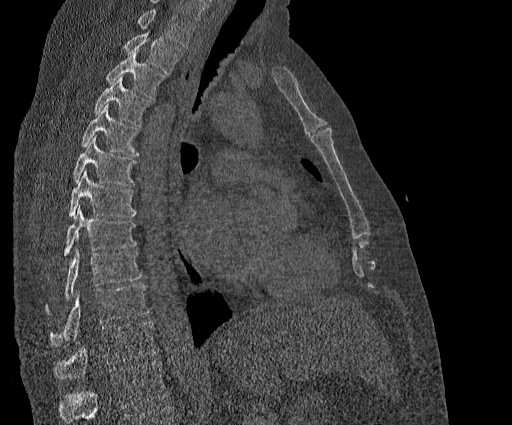
Spine computed tomography · sagittal reformat
Boxes are (x1, y1, x2, y2) in pixels.
Where the top of the scan cuts through a vertebra, that vertebra gets no label or box.
This scan's labels start at T2 at the top and end at T11 at the bottom.
Vertebra bounding boxes:
- T2: (124, 31, 181, 74)
- T3: (106, 51, 165, 98)
- T4: (94, 76, 149, 126)
- T5: (81, 104, 138, 155)
- T6: (73, 136, 136, 186)
- T7: (69, 169, 136, 216)
- T8: (64, 205, 136, 255)
- T9: (45, 248, 141, 312)
- T10: (50, 283, 148, 346)
- T11: (54, 321, 157, 379)